CT spine. sagittal plane, index 245. Bone window (WL 400, WW 1800)
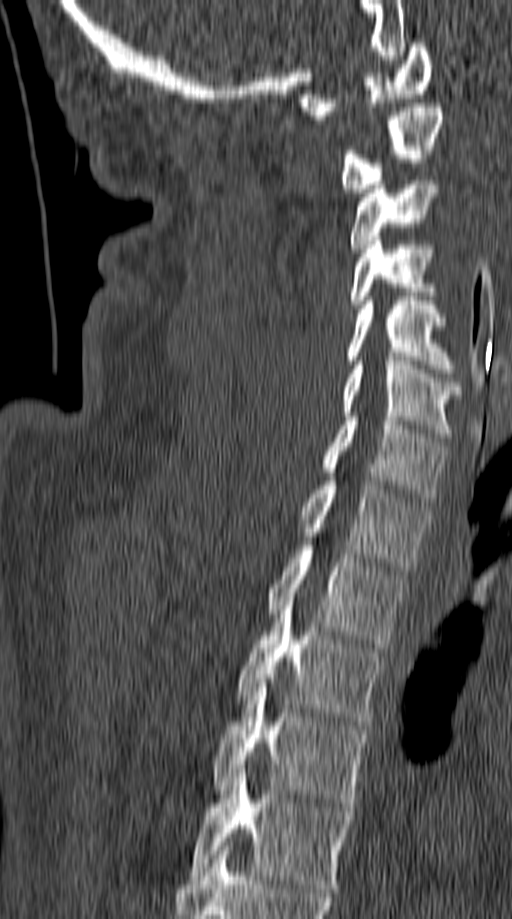

Boxes below are [x1, y1, x2, y2] in pixels.
{"vertebrae":{"T5":[188,769,355,892],"T4":[211,683,371,807],"T3":[238,597,385,725],"T2":[266,550,406,648],"T1":[298,481,430,570],"C7":[321,417,447,502],"C6":[341,361,462,437],"C5":[347,296,457,373],"C4":[350,241,437,304],"C3":[350,176,440,252],"C2":[338,103,443,192],"C1":[299,43,433,119]}}